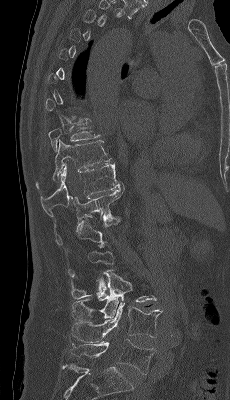

CT; sagittal view
Each row gives a vertebra's box as x1, y1, x2, y2 in pixels: top-left corner, then bottom-right corner.
Not every vertebra on this slice has a box: a vertebra is boxed only from the first to the last slice where its cross-section is at least a third of its largest, and this slice is outside that range for at least one of them.
| vertebra | x1 | y1 | x2 | y2 |
|---|---|---|---|---|
| L5 | 70 | 339 | 156 | 374 |
| L4 | 71 | 301 | 162 | 342 |
| L3 | 72 | 269 | 156 | 320 |
| L2 | 71 | 244 | 113 | 298 |
| L1 | 68 | 217 | 120 | 275 |
| T12 | 54 | 185 | 125 | 245 |
| T11 | 40 | 164 | 123 | 216 |
| T10 | 36 | 140 | 114 | 188 |
| T9 | 48 | 123 | 100 | 150 |